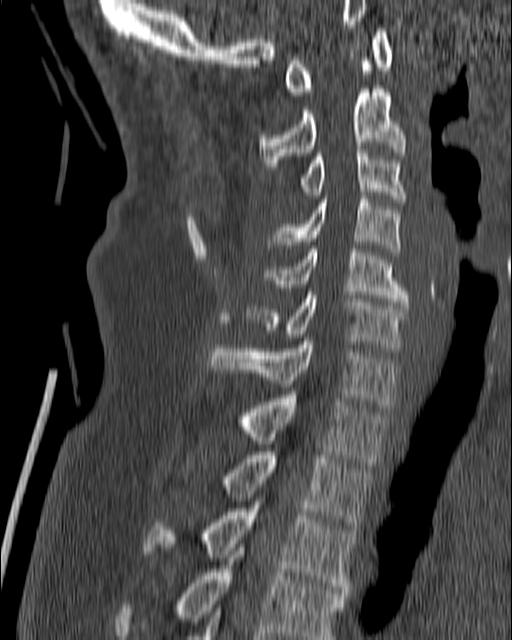
Computed tomography of the spine; sagittal view; bone window. Bounding boxes as [x1, y1, x2, y2] in pixel coordinates.
Vertebra bounding boxes:
- C1: [283, 28, 392, 95]
- C2: [259, 85, 407, 170]
- C3: [272, 146, 407, 202]
- C4: [265, 192, 401, 255]
- C5: [265, 249, 410, 305]
- C6: [246, 292, 407, 351]
- C7: [209, 341, 398, 408]
- T1: [239, 395, 387, 465]
- T2: [223, 452, 373, 532]
- T3: [143, 501, 355, 593]
- T4: [112, 544, 347, 639]